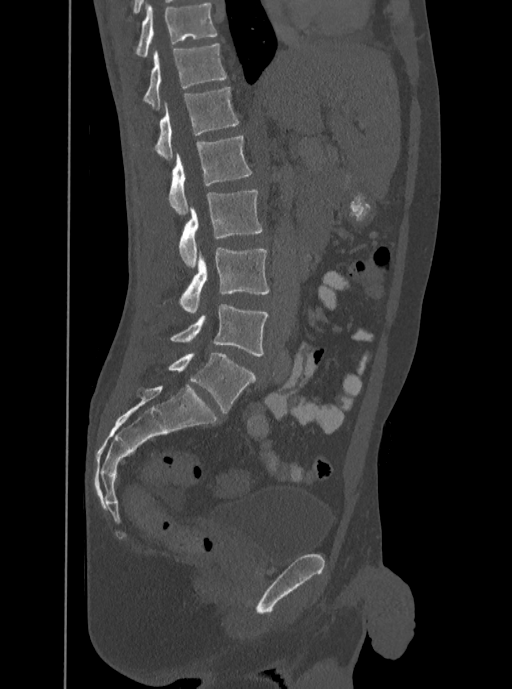
Spine computed tomography — sagittal view — 350 mm wide — Bone window (WL 400, WW 1800) — 512x689 px
Boxes: x1:y1:x2:y2 in pixels.
Labels in this scan begin with T12 at the top and end with L5 at the bottom.
T12: 142:43:227:108
L1: 155:87:239:160
L2: 169:136:252:214
L3: 178:190:262:268
L4: 180:246:269:314
L5: 171:304:268:356